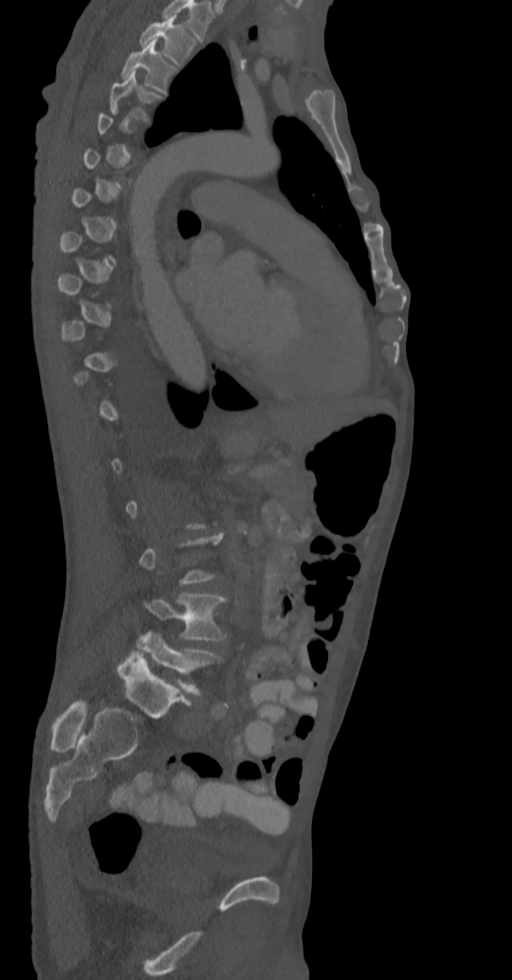 CT, spine. sagittal view

Each vertebra is boxed only on the slices from the first to the last where its cross-section reaches a third of its largest, so a slice outside that range leaves it unboxed.
<vertebrae><v name="L5" x1="137" y1="631" x2="221" y2="695"/><v name="L4" x1="144" y1="593" x2="226" y2="641"/><v name="T4" x1="109" y1="72" x2="162" y2="121"/><v name="T3" x1="122" y1="41" x2="175" y2="93"/><v name="T2" x1="140" y1="15" x2="194" y2="66"/></vertebrae>